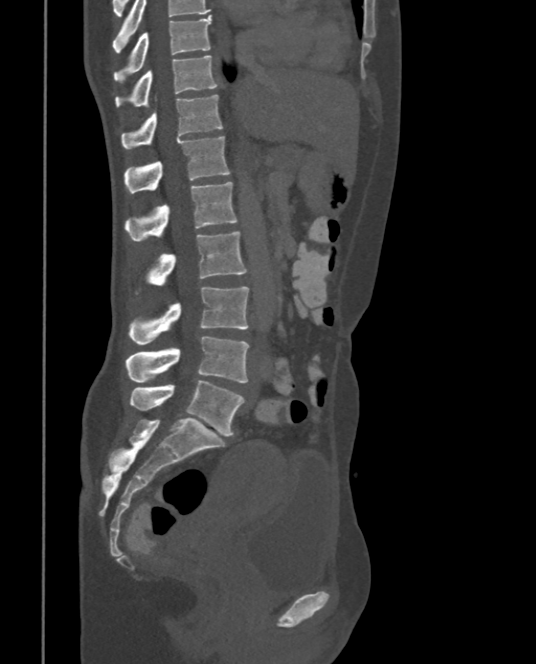

Spine CT; image 375 mm wide; sagittal view. Each box given as x1,y1,x2,y2.
| vertebra | x1 | y1 | x2 | y2 |
|---|---|---|---|---|
| L5 | 130 | 380 | 243 | 436 |
| L4 | 126 | 336 | 249 | 382 |
| L3 | 129 | 286 | 249 | 345 |
| L2 | 146 | 231 | 247 | 285 |
| L1 | 125 | 181 | 238 | 240 |
| T12 | 125 | 136 | 230 | 193 |
| T11 | 121 | 94 | 223 | 149 |
| T10 | 115 | 56 | 219 | 107 |
| T9 | 114 | 14 | 211 | 83 |